CT, spine · Sagittal slice 152/250 · bone window · 250 mm wide · 250x571 px
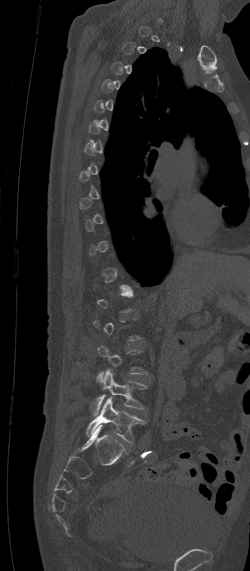

Boxes are given in columns x1, y1, x2, y2, the pixel coordinates of their top-left and bottom-right corners.
Not every vertebra on this slice has a box: a vertebra is boxed only from the first to the last slice where its cross-section is at least a third of its largest, and this slice is outside that range for at least one of them.
| vertebra | x1 | y1 | x2 | y2 |
|---|---|---|---|---|
| L4 | 89 | 368 | 147 | 415 |
| L5 | 85 | 396 | 145 | 442 |